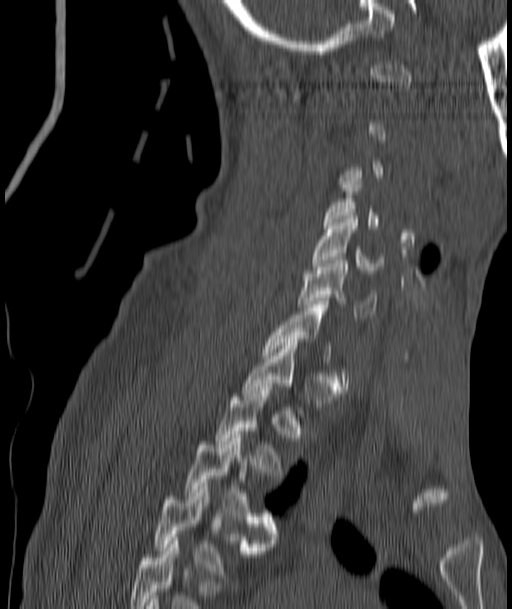

CT, spine · the image is 187 mm wide · sagittal view · W/L 1800/400 HU · 512x609 px. Bounding boxes as [x1, y1, x2, y2] in pixel coordinates.
A vertebra is boxed only from the first to the last slice where its cross-section is at least a third of its largest; slices outside that range leave it without a box.
The highest labeled vertebra in this scan is C1; the lowest is T4.
C5: [313, 216, 380, 273]
C6: [299, 260, 376, 317]
T3: [184, 435, 276, 543]
T4: [154, 483, 263, 574]